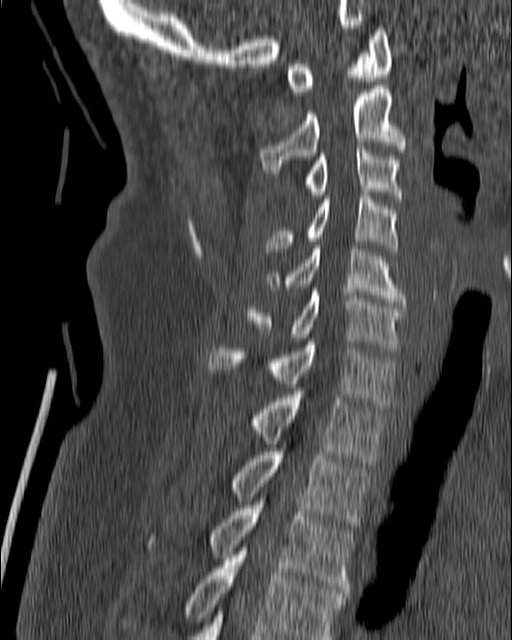

CT · 180 mm wide · sagittal view

Coordinates as <box>x1,y1,x2,y2</box>. 11 vertebrae labeled — C1 at <box>286,25,392,91</box>; C2 at <box>260,85,406,173</box>; C3 at <box>305,146,402,202</box>; C4 at <box>265,192,398,251</box>; C5 at <box>265,245,404,305</box>; C6 at <box>246,288,404,351</box>; C7 at <box>209,341,395,408</box>; T1 at <box>251,395,384,461</box>; T2 at <box>231,448,370,529</box>; T3 at <box>147,501,353,596</box>; T4 at <box>121,544,345,639</box>.